Spine CT; sagittal view; the image spans 333 mm across; Bone window (WL 400, WW 1800)
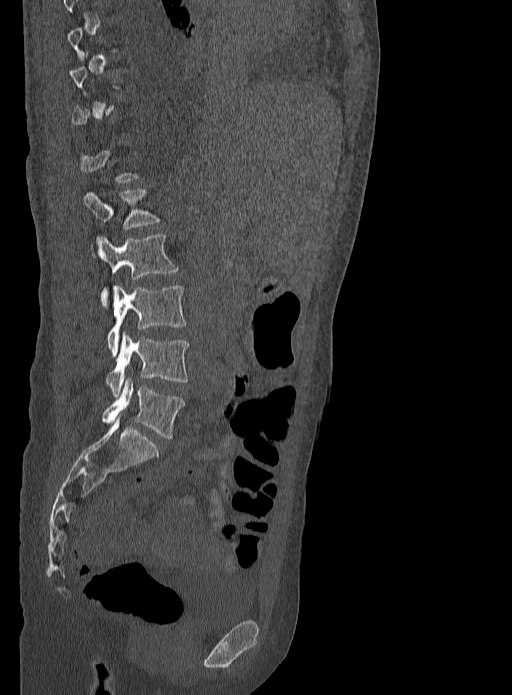
Boxes below are [x1, y1, x2, y2] in pixels.
A vertebra gets a box only on the slices from the first to the last where its cross-section is at least a third of its largest; on a slice outside that range it gets none.
{"vertebrae":{"L1":[84,189,160,248],"L2":[100,234,179,307],"L3":[107,284,186,356],"L4":[106,332,189,396],"L5":[101,378,185,439]}}